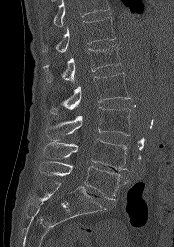
CT, spine · sagittal view · bone-window reconstruction
Boxes are (x1, y1, x2, y2) in pixels.
A vertebra cut off by the top edge of the scan is not labeled and has no box.
Vertebra bounding boxes:
- T12: (42, 17, 116, 52)
- L1: (44, 45, 121, 83)
- L2: (50, 73, 130, 113)
- L3: (45, 107, 130, 141)
- L4: (43, 139, 128, 170)
- L5: (39, 161, 128, 200)